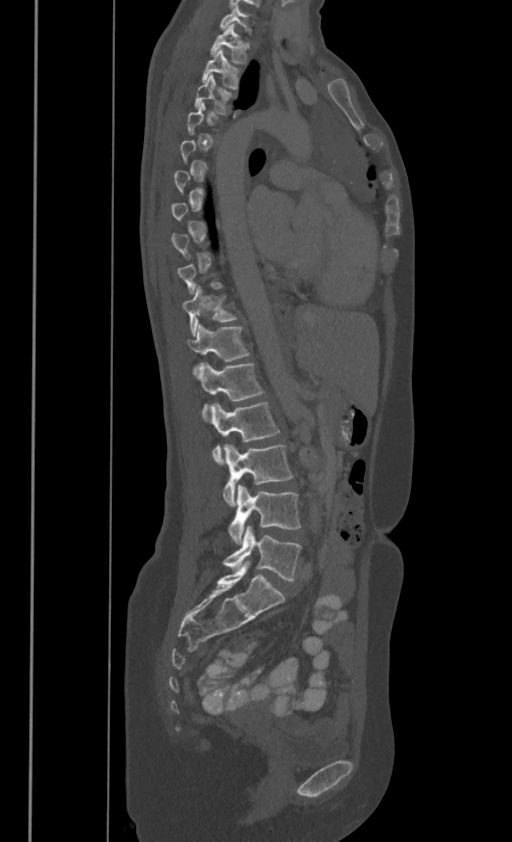

CT spine. sagittal reformat. 386 mm wide. bone window
Not every vertebra on this slice has a box: a vertebra is boxed only from the first to the last slice where its cross-section is at least a third of its largest, and this slice is outside that range for at least one of them.
In these labels the thoracic vertebrae end at T11, so L1 follows T11.
<vertebrae><v name="C7" x1="220" y1="5" x2="251" y2="34"/><v name="T1" x1="209" y1="23" x2="248" y2="62"/><v name="T2" x1="201" y1="48" x2="240" y2="87"/><v name="T3" x1="195" y1="74" x2="234" y2="114"/><v name="T10" x1="183" y1="285" x2="238" y2="334"/><v name="T11" x1="188" y1="324" x2="250" y2="374"/><v name="L1" x1="199" y1="362" x2="263" y2="420"/><v name="L2" x1="211" y1="400" x2="279" y2="465"/><v name="L3" x1="223" y1="444" x2="293" y2="505"/><v name="L4" x1="228" y1="485" x2="300" y2="543"/><v name="L5" x1="223" y1="526" x2="301" y2="580"/></vertebrae>